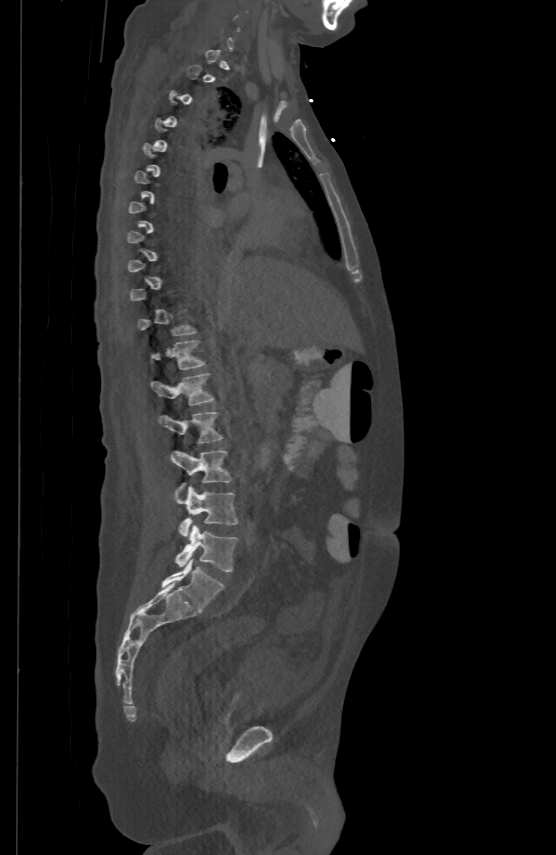
Spine CT. sagittal view. Boxes are (x1, y1, x2, y2) in pixels.
A vertebra gets a box only on the slices from the first to the last where its cross-section is at least a third of its largest; on a slice outside that range it gets none.
T12: (151, 339, 204, 369)
L1: (151, 372, 215, 404)
L2: (158, 411, 223, 443)
L3: (170, 450, 231, 489)
L4: (177, 486, 238, 536)
L5: (176, 525, 237, 572)